Computed tomography of the spine. sagittal reformat. bone-window reconstruction
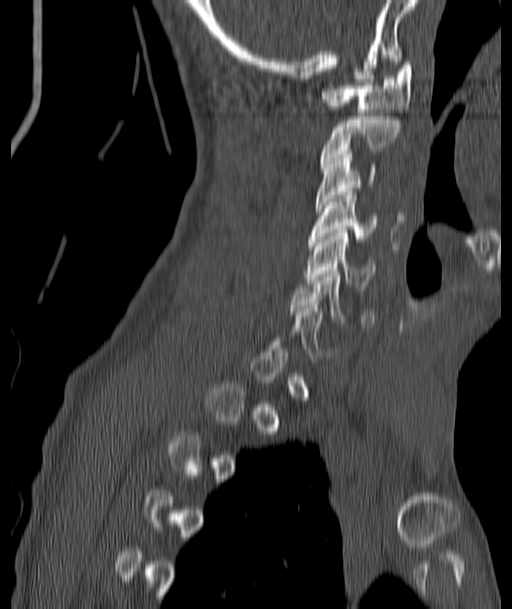 Boxes are (x1, y1, x2, y2) in pixels.
A vertebra gets a box only on the slices from the first to the last where its cross-section is at least a third of its largest; on a slice outside that range it gets none.
Vertebra bounding boxes:
- C6: (291, 270, 374, 328)
- C5: (305, 229, 376, 286)
- C4: (309, 192, 378, 242)
- C3: (316, 147, 375, 211)
- C2: (321, 113, 400, 163)
- C1: (321, 62, 412, 112)